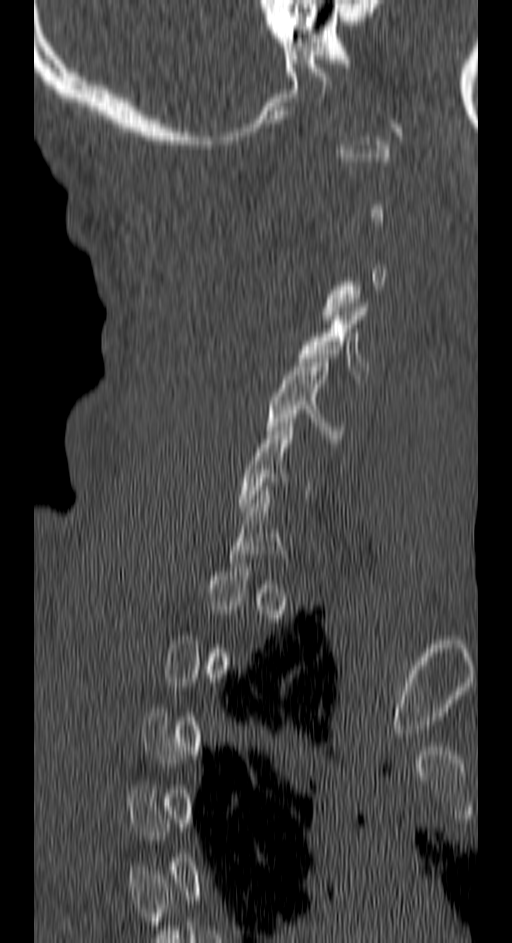
Computed tomography of the spine. sagittal view. bone-window reconstruction. Boxes: x1 y1 x2 y2 (pixel coords, space-separated).
Each vertebra is boxed only on the slices from the first to the last where its cross-section reaches a third of its largest, so a slice outside that range leaves it unboxed.
Vertebra bounding boxes:
- C4: 298 303 368 379
- C5: 267 354 343 438